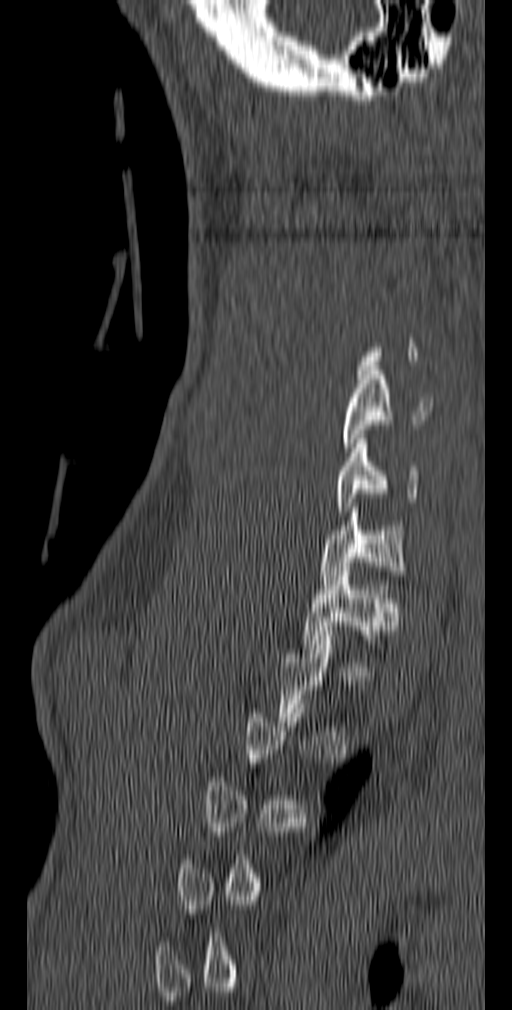 Spine CT; the image spans 140 mm across; sagittal reformat; W/L 1800/400 HU. Coordinates as <box>x1,y1,x2,y2</box>.
Each vertebra is boxed only on the slices from the first to the last where its cross-section reaches a third of its largest, so a slice outside that range leaves it unboxed.
C5: <box>341,366,432,452</box>
C6: <box>336,434,420,511</box>
C7: <box>320,507,406,584</box>
T1: <box>303,567,400,653</box>